Spine computed tomography — sagittal reformat — W/L 1800/400 HU — 16 vertebrae labeled in this scan
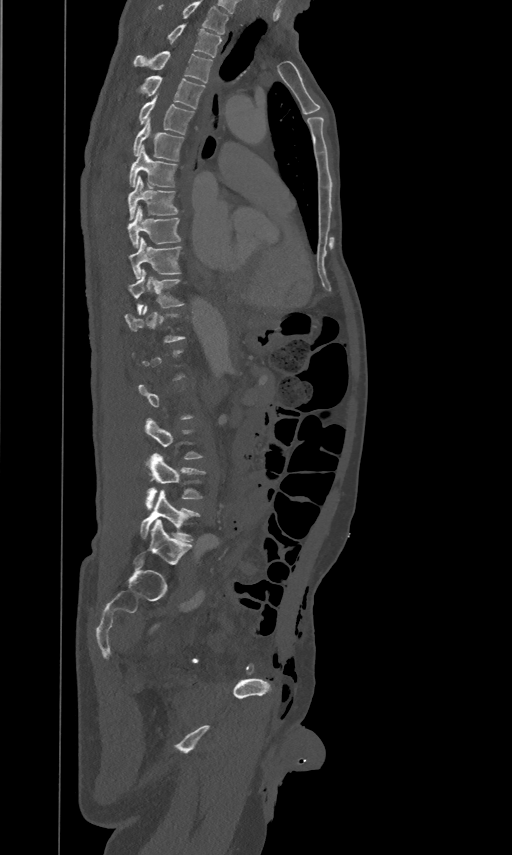
Box values are [left, top, right, bottom] in pixels.
A vertebra is boxed only from the first to the last slice where its cross-section is at least a third of its largest; slices outside that range leave it without a box.
In this scan, the topmost labeled vertebra is T2 and the lowest is L5.
{"vertebrae":{"T2":[167,23,222,57],"T3":[134,51,212,82],"T4":[142,75,204,109],"T5":[139,93,193,134],"T6":[133,118,182,160],"T7":[130,144,176,185],"T8":[128,176,177,219],"T9":[127,205,180,246],"T10":[129,237,180,278],"T11":[129,269,182,314],"L4":[146,453,204,509],"L5":[140,490,199,541]}}